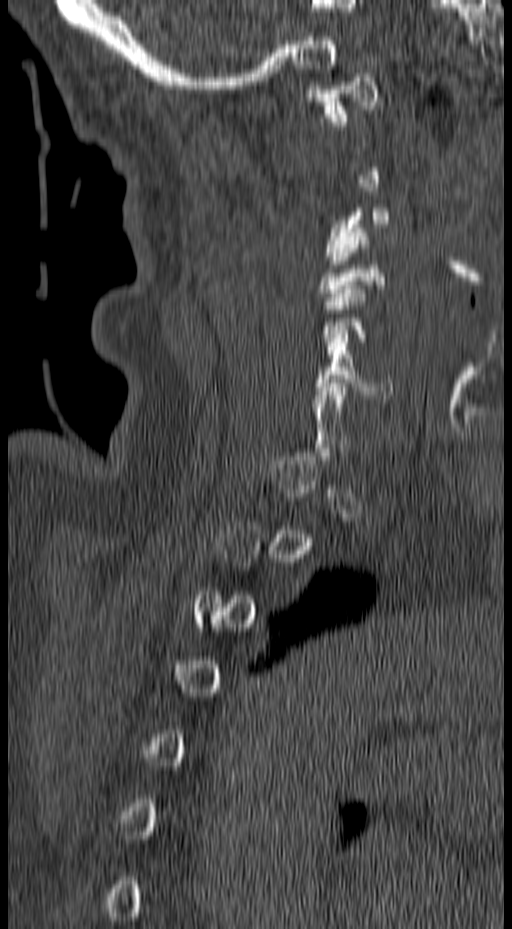
Spine CT; sagittal view; 157 mm across the image. Boxes: x1:y1:x2:y2 in pixels.
A vertebra gets a box only on the slices from the first to the last where its cross-section is at least a third of its largest; on a slice outside that range it gets none.
Vertebra bounding boxes:
- C1: 303:73:378:125
- C3: 325:204:391:264
- C6: 313:334:392:398